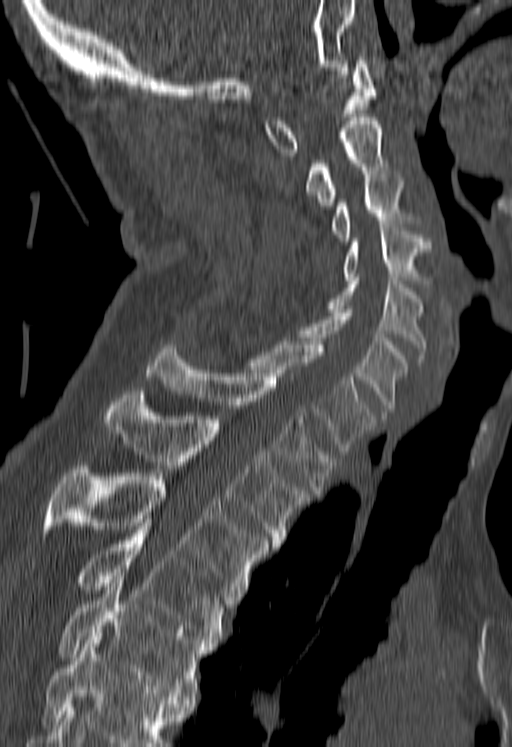 Computed tomography of the spine; sagittal view. Coordinates as <box>x1,y1,x2,y2</box>. Where the bottom of the scan cuts through a vertebra, that vertebra gets no label or box. 12 vertebrae labeled — T5 at <box>61,572,210,699</box>; T4 at <box>78,523,230,646</box>; T3 at <box>44,466,267,596</box>; T2 at <box>103,391,307,547</box>; T1 at <box>146,345,336,493</box>; C7 at <box>246,338,375,454</box>; C6 at <box>297,309,407,415</box>; C5 at <box>325,277,427,362</box>; C4 at <box>342,228,430,287</box>; C3 at <box>331,174,412,241</box>; C2 at <box>305,114,387,205</box>; C1 at <box>264,57,375,155</box>.